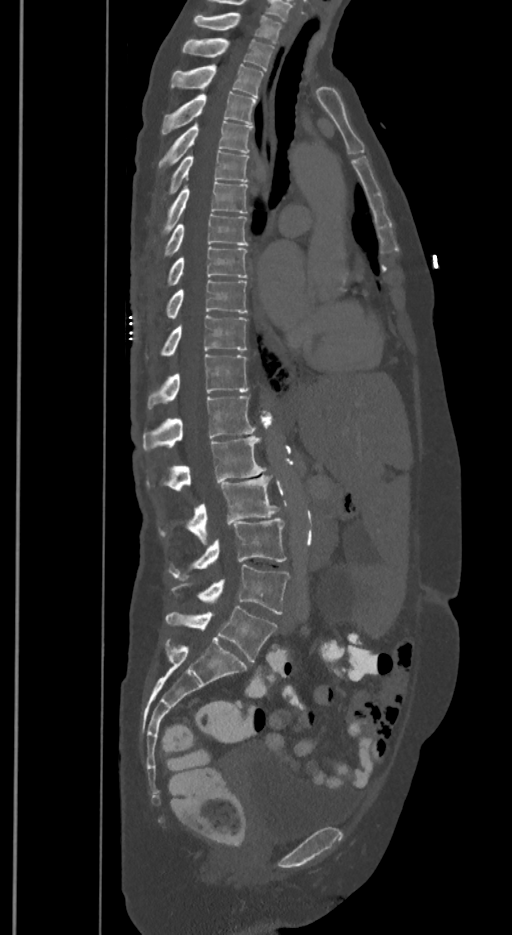 CT, spine; sagittal view; 350 mm image width; 512x935 px
The labels name a sixth lumbar vertebra for this spine: L6, after L5.
<vertebrae><v name="T1" x1="194" y1="13" x2="281" y2="42"/><v name="T2" x1="183" y1="38" x2="274" y2="69"/><v name="T3" x1="171" y1="63" x2="264" y2="98"/><v name="T4" x1="162" y1="91" x2="255" y2="132"/><v name="T5" x1="158" y1="120" x2="252" y2="173"/><v name="T6" x1="165" y1="151" x2="247" y2="196"/><v name="T7" x1="153" y1="182" x2="247" y2="244"/><v name="T8" x1="162" y1="213" x2="247" y2="258"/><v name="T9" x1="167" y1="246" x2="246" y2="286"/><v name="T10" x1="165" y1="279" x2="247" y2="318"/><v name="T11" x1="146" y1="315" x2="246" y2="357"/><v name="T12" x1="148" y1="354" x2="247" y2="408"/><v name="L1" x1="143" y1="396" x2="255" y2="449"/><v name="L2" x1="146" y1="436" x2="265" y2="490"/><v name="L3" x1="158" y1="474" x2="278" y2="540"/><v name="L4" x1="168" y1="517" x2="285" y2="580"/><v name="L5" x1="171" y1="565" x2="290" y2="614"/><v name="L6" x1="165" y1="606" x2="277" y2="661"/></vertebrae>